Computed tomography of the spine — sagittal reformat — W/L 1800/400 HU — 16 vertebrae labeled in this scan
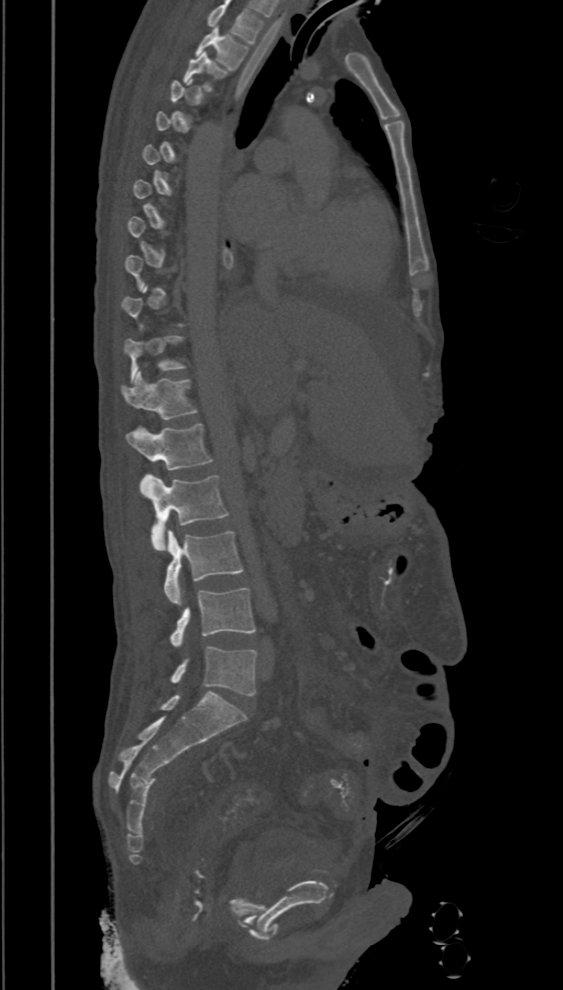
Each row gives a vertebra's box as x1, y1, x2, y2 in pixels: top-left corner, then bottom-right corner.
Each vertebra is boxed only on the slices from the first to the last where its cross-section reaches a third of its largest, so a slice outside that range leaves it unboxed.
This scan's labels start at T2 at the top and end at L5 at the bottom.
| vertebra | x1 | y1 | x2 | y2 |
|---|---|---|---|---|
| T2 | 196 | 26 | 247 | 70 |
| T3 | 182 | 52 | 228 | 91 |
| T11 | 123 | 335 | 186 | 381 |
| T12 | 121 | 371 | 197 | 419 |
| L1 | 125 | 423 | 213 | 469 |
| L2 | 140 | 474 | 229 | 551 |
| L3 | 164 | 530 | 243 | 605 |
| L4 | 169 | 587 | 256 | 646 |
| L5 | 170 | 646 | 257 | 696 |